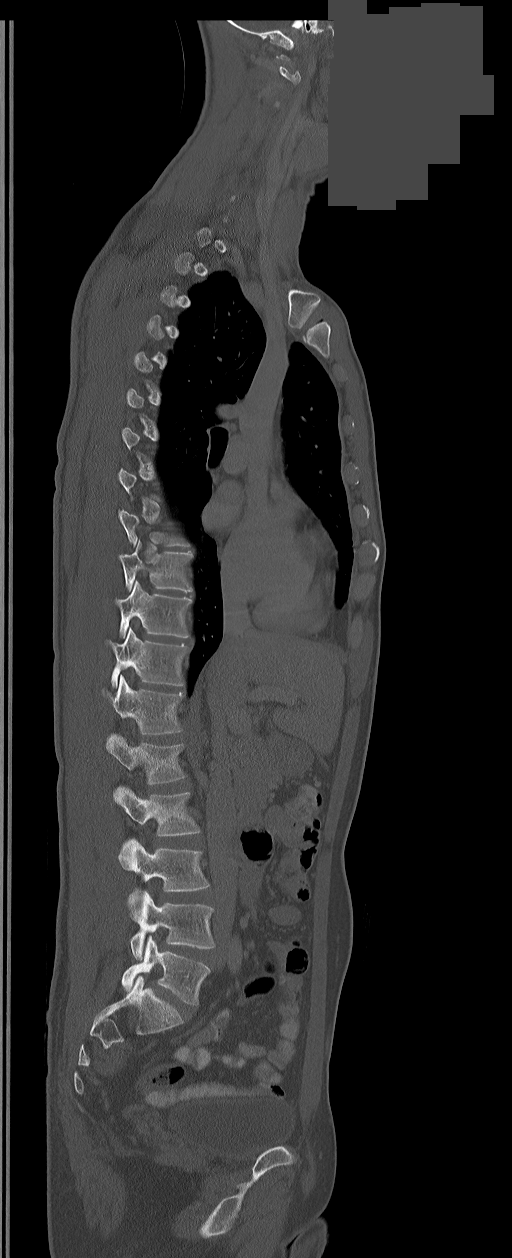

Spine computed tomography. sagittal reformat. bone-window reconstruction. part of the image has been replaced by a constant value
A vertebra is boxed only from the first to the last slice where its cross-section is at least a third of its largest; slices outside that range leave it without a box.
In these labels the spine has an L6, a sixth lumbar vertebra below L5.
<vertebrae><v name="L6" x1="122" y1="936" x2="210" y2="1004"/><v name="L5" x1="130" y1="891" x2="214" y2="959"/><v name="L4" x1="119" y1="838" x2="208" y2="908"/><v name="L3" x1="116" y1="787" x2="200" y2="846"/><v name="L2" x1="106" y1="735" x2="185" y2="785"/><v name="L1" x1="103" y1="676" x2="182" y2="734"/><v name="T12" x1="107" y1="628" x2="188" y2="687"/><v name="T11" x1="116" y1="581" x2="191" y2="637"/><v name="T10" x1="119" y1="540" x2="192" y2="592"/><v name="C1" x1="276" y1="54" x2="301" y2="83"/></vertebrae>